CT — 382 mm wide — sagittal reformat — scan covers 20 annotated vertebrae
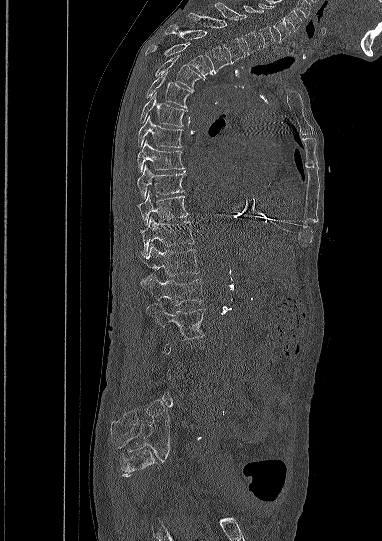
Box values are [left, top, right, bottom] in pixels.
A vertebra is boxed only from the first to the last slice where its cross-section is at least a third of its largest; slices outside that range leave it without a box.
{"vertebrae":{"C5":[258,3,290,41],"C6":[244,5,275,47],"C7":[215,2,260,54],"T1":[188,13,244,63],"T2":[165,25,229,73],"T3":[145,42,212,77],"T4":[155,55,204,91],"T5":[146,72,191,108],"T6":[140,92,187,126],"T7":[138,115,183,147],"T8":[137,140,183,172],"T9":[137,165,184,198],"T10":[138,191,188,225],"T11":[141,217,194,255],"T12":[140,243,199,276],"L1":[141,274,203,305],"L2":[147,303,205,339]}}